Computed tomography of the spine · sagittal reformat · W/L 1800/400 HU · 17 vertebrae labeled in this scan
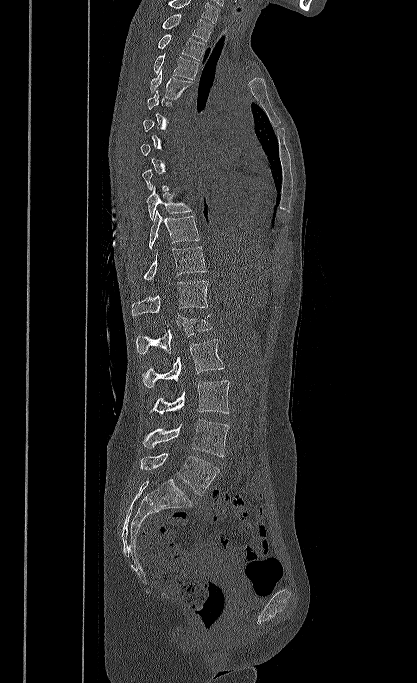 Boxes below are [x1, y1, x2, y2] in pixels.
A vertebra is boxed only from the first to the last slice where its cross-section is at least a third of its largest; slices outside that range leave it without a box.
The highest labeled vertebra in this scan is T1; the lowest is L5.
{"vertebrae":{"L5":[140,453,219,495],"L4":[142,419,229,457],"L3":[150,380,229,414],"L2":[142,339,224,387],"L1":[136,314,212,354],"T12":[132,280,208,315],"T11":[143,247,207,281],"T10":[148,210,199,249],"T9":[146,186,192,220],"T4":[150,69,192,98],"T3":[153,54,198,79],"T2":[158,34,204,60],"T1":[162,14,212,41]}}